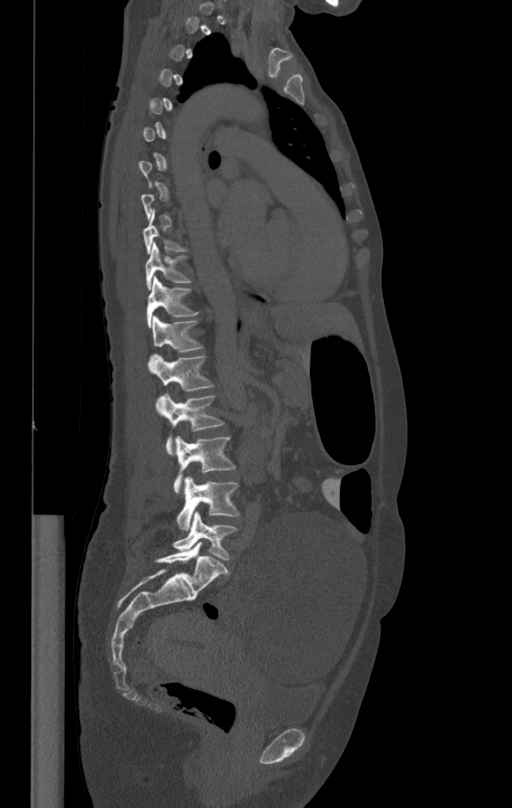
Spine computed tomography — sagittal view — bone window — 512x808 px
In the table, x1 and y1 are a box's top-left corner and x2 and y2 its bottom-right corner, in pixels.
Each vertebra is boxed only on the slices from the first to the last where its cross-section reaches a third of its largest, so a slice outside that range leaves it unboxed.
| vertebra | x1 | y1 | x2 | y2 |
|---|---|---|---|---|
| T10 | 145 | 242 | 191 | 289 |
| T11 | 147 | 277 | 199 | 327 |
| T12 | 148 | 315 | 203 | 364 |
| L1 | 151 | 353 | 213 | 390 |
| L2 | 156 | 394 | 224 | 455 |
| L3 | 174 | 436 | 235 | 493 |
| L4 | 176 | 475 | 239 | 529 |
| L5 | 173 | 512 | 236 | 560 |